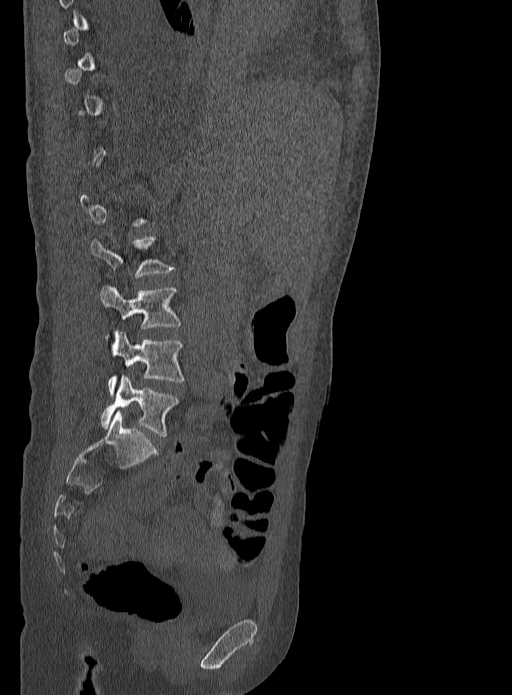 CT, spine; sagittal reformat; bone-window reconstruction. Box edges are left/top/right/bottom in pixels.
A vertebra is boxed only from the first to the last slice where its cross-section is at least a third of its largest; slices outside that range leave it without a box.
Vertebra bounding boxes:
- L5: left=101, top=375, right=179, bottom=437
- L4: left=107, top=331, right=185, bottom=394
- L3: left=100, top=286, right=182, bottom=340
- L2: left=90, top=237, right=176, bottom=277